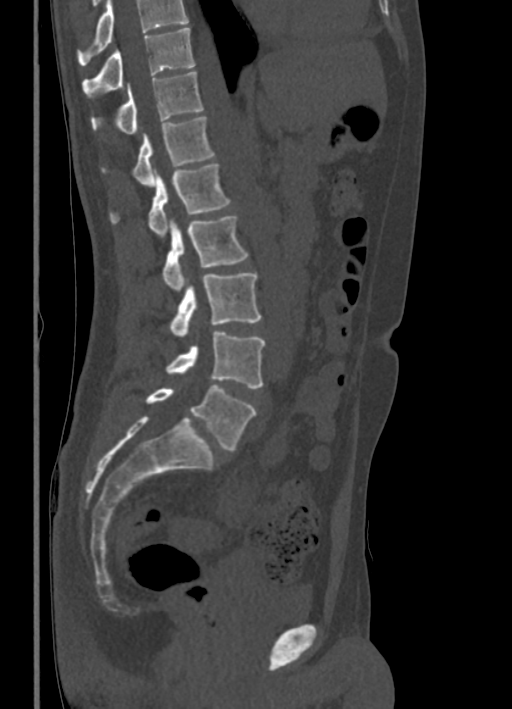 CT · sagittal view · 512x709 px. Boxes: x1:y1:x2:y2 in pixels.
Vertebrae that run past the top of the scan are left unlabeled.
Vertebra bounding boxes:
- T10: 82:27:194:98
- T11: 91:72:203:134
- T12: 102:116:215:187
- L1: 109:163:230:238
- L2: 163:216:247:292
- L3: 169:273:261:336
- L4: 166:331:264:388
- L5: 146:385:256:450